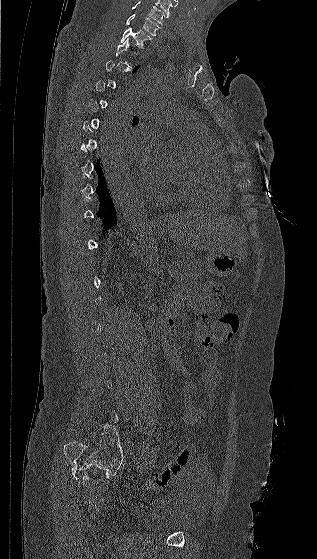 Spine computed tomography — sagittal view — 317x559 px. Each box given as x1,y1,x2,y2.
A vertebra gets a box only on the slices from the first to the last where its cross-section is at least a third of its largest; on a slice outside that range it gets none.
Labels in this scan begin with C7 at the top and end with L5 at the bottom.
Vertebra bounding boxes:
- C7: x1=125, y1=13, x2=161, y2=35
- T1: x1=119, y1=27, x2=151, y2=48